Computed tomography of the spine; sagittal plane, index 271; Bone window (WL 400, WW 1800); 512x550 px
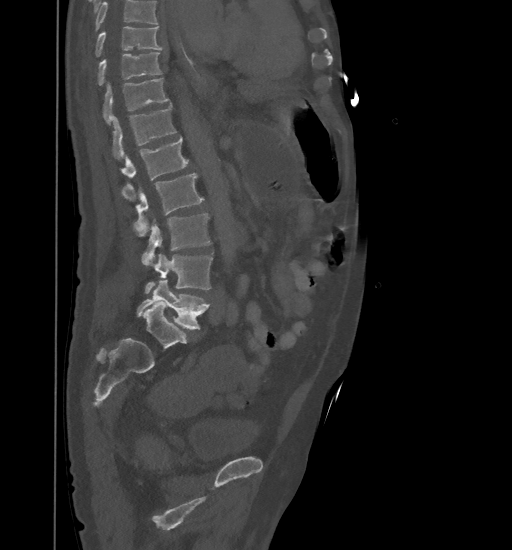 Box values are [left, top, right, bottom] in pixels.
A vertebra cut off by the top edge of the scan is not labeled and has no box.
{"vertebrae":{"T9":[95,27,162,57],"T10":[98,52,161,85],"T11":[103,78,169,124],"T12":[112,105,177,160],"L1":[121,136,189,196],"L2":[122,173,204,235],"L3":[141,213,211,266],"L4":[145,253,213,294],"L5":[137,280,209,329]}}